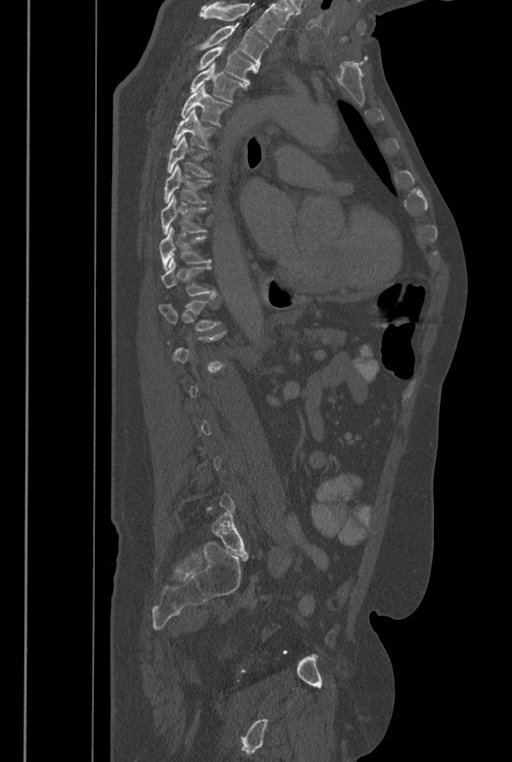 Spine CT. sagittal view

Each row gives a vertebra's box as x1, y1, x2, y2 in pixels: top-left corner, then bottom-right corner.
A vertebra is boxed only from the first to the last slice where its cross-section is at least a third of its largest; slices outside that range leave it without a box.
Vertebrae that run past the top of the scan are left unlabeled.
In these labels the spine has an L6, a sixth lumbar vertebra below L5.
| vertebra | x1 | y1 | x2 | y2 |
|---|---|---|---|---|
| T2 | 192 | 26 | 268 | 72 |
| T3 | 195 | 42 | 254 | 89 |
| T4 | 189 | 62 | 243 | 102 |
| T5 | 180 | 84 | 231 | 125 |
| T6 | 172 | 108 | 216 | 150 |
| T7 | 166 | 135 | 212 | 176 |
| T8 | 163 | 164 | 212 | 203 |
| T9 | 161 | 194 | 209 | 235 |
| T10 | 159 | 226 | 211 | 270 |
| T11 | 161 | 258 | 216 | 296 |
| T12 | 158 | 301 | 222 | 330 |
| L6 | 212 | 512 | 248 | 555 |